Spine computed tomography · sagittal view · 356x356 px · 356 mm across the image
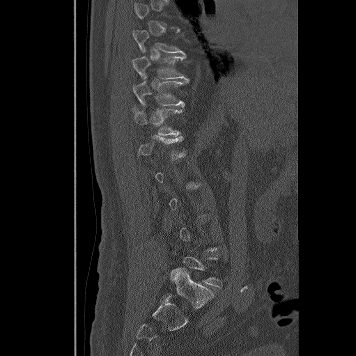

Not every vertebra on this slice has a box: a vertebra is boxed only from the first to the last slice where its cross-section is at least a third of its largest, and this slice is outside that range for at least one of them.
<vertebrae><v name="T9" x1="132" y1="30" x2="187" y2="54"/><v name="T10" x1="132" y1="55" x2="189" y2="81"/><v name="T11" x1="133" y1="81" x2="188" y2="107"/><v name="T12" x1="131" y1="107" x2="183" y2="136"/></vertebrae>